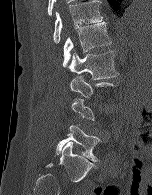

Spine CT · sagittal reformat
Boxes below are [x1, y1, x2, y2] in pixels.
A vertebra gets a box only on the slices from the first to the last where its cross-section is at least a third of its largest; on a slice outside that range it gets none.
{"vertebrae":{"T12":[53,0,103,43],"L1":[63,21,111,67],"L2":[68,50,119,79],"L5":[56,125,100,161]}}